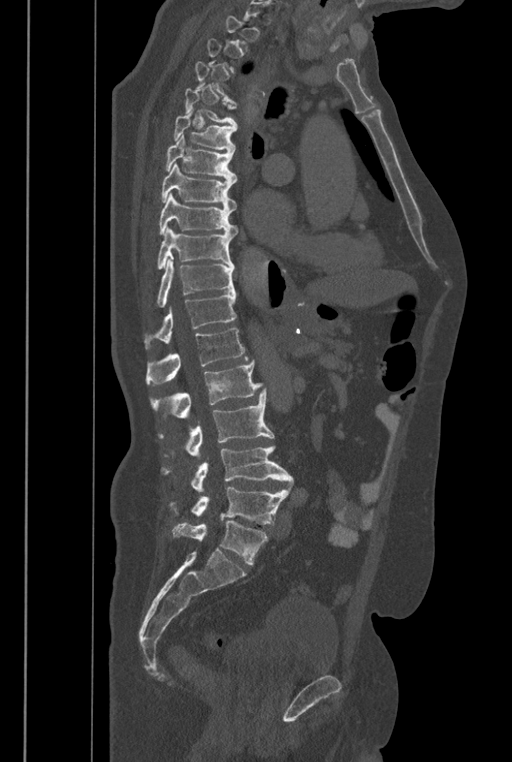

Spine CT; sagittal view
Boxes: x1 y1 x2 y2 (pixel coords, space-separated). Not every vertebra on this slice has a box: a vertebra is boxed only from the first to the last slice where its cross-section is at least a third of its largest, and this slice is outside that range for at least one of them. The labels name a sixth lumbar vertebra for this spine: L6, after L5. Vertebrae labeled: L6 at 172 521 268 564, L5 at 192 487 288 524, L4 at 163 445 293 493, L3 at 161 388 274 458, L2 at 150 360 262 418, L1 at 146 328 248 385, T12 at 143 291 236 349, T11 at 156 259 235 307, T10 at 157 226 234 269, T9 at 158 193 237 235, T8 at 161 163 237 210, T7 at 165 134 237 181, T6 at 173 111 237 152, T5 at 185 88 238 129, T4 at 195 61 236 103.